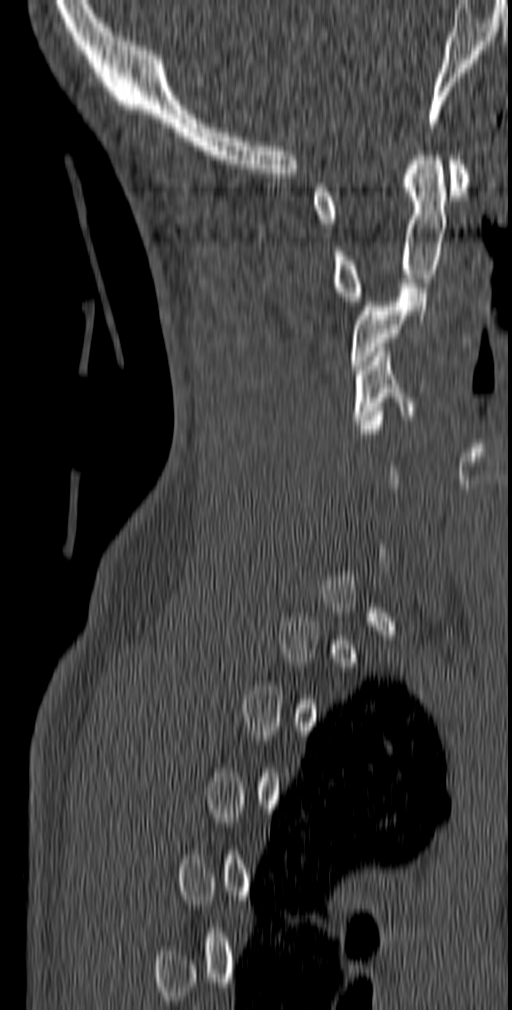 Spine CT. sagittal view. W/L 1800/400 HU
A vertebra is boxed only from the first to the last slice where its cross-section is at least a third of its largest; slices outside that range leave it without a box.
<vertebrae><v name="C4" x1="352" y1="347" x2="413" y2="424"/><v name="C3" x1="351" y1="283" x2="428" y2="369"/><v name="C2" x1="332" y1="151" x2="446" y2="301"/><v name="C1" x1="312" y1="155" x2="469" y2="228"/></vertebrae>